Computed tomography of the spine — sagittal reformat — W/L 1800/400 HU — image width 191 mm — scan covers 18 annotated vertebrae
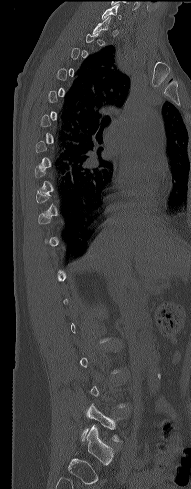

Bounding boxes as [x1, y1, x2, y2] in pixel coordinates.
Each vertebra is boxed only on the slices from the first to the last where its cross-section reaches a third of its largest, so a slice outside that range leaves it unboxed.
L5: [81, 403, 127, 442]
C7: [101, 4, 121, 20]